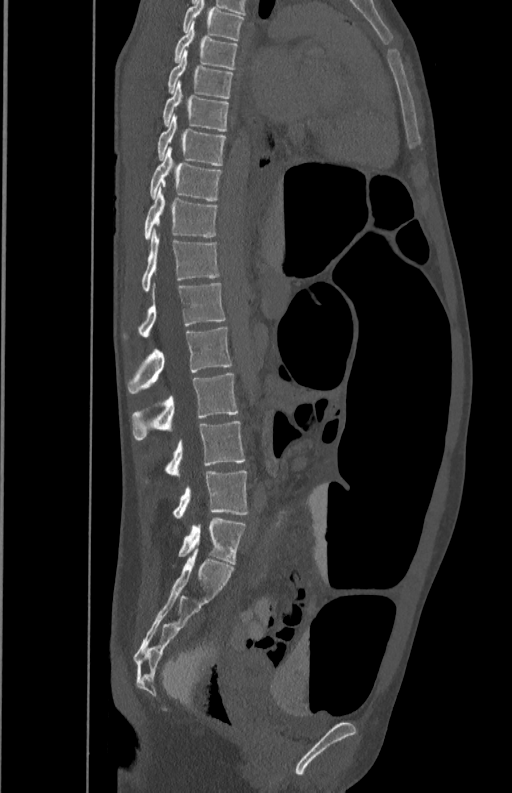
CT — sagittal view — W/L 1800/400 HU — 350 mm wide
Each vertebra maps to its box as [x1, y1, x2, y2], the pixel coordinates of its top-left and bottom-right corners.
{"vertebrae":{"T5":[183,1,243,40],"T6":[174,21,237,69],"T7":[167,53,233,98],"T8":[162,82,228,131],"T9":[156,113,226,165],"T10":[149,147,221,200],"T11":[143,186,218,240],"T12":[142,229,220,291],"L1":[123,282,226,340],"L2":[127,327,233,394],"L3":[131,373,239,439],"L4":[165,421,245,477],"L5":[172,471,247,518]}}